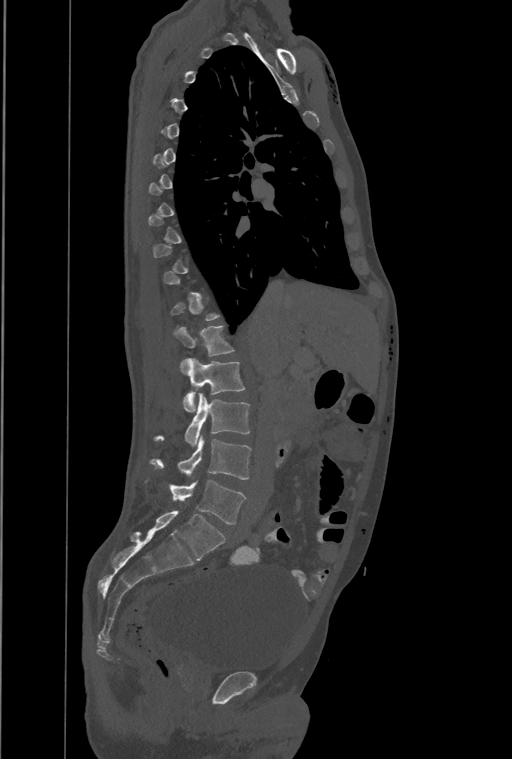
CT; sagittal view; 461 mm across the image

Not every vertebra on this slice has a box: a vertebra is boxed only from the first to the last slice where its cross-section is at least a third of its largest, and this slice is outside that range for at least one of them.
The highest labeled vertebra in this scan is T1; the lowest is L4.
These labels give the spine a thirteenth thoracic vertebra: T13 sits between T12 and L1.
<vertebrae><v name="L4" x1="170" y1="480" x2="245" y2="524"/><v name="L3" x1="151" y1="436" x2="251" y2="479"/><v name="L2" x1="155" y1="394" x2="249" y2="446"/><v name="L1" x1="183" y1="358" x2="245" y2="411"/><v name="T13" x1="174" y1="326" x2="234" y2="371"/></vertebrae>